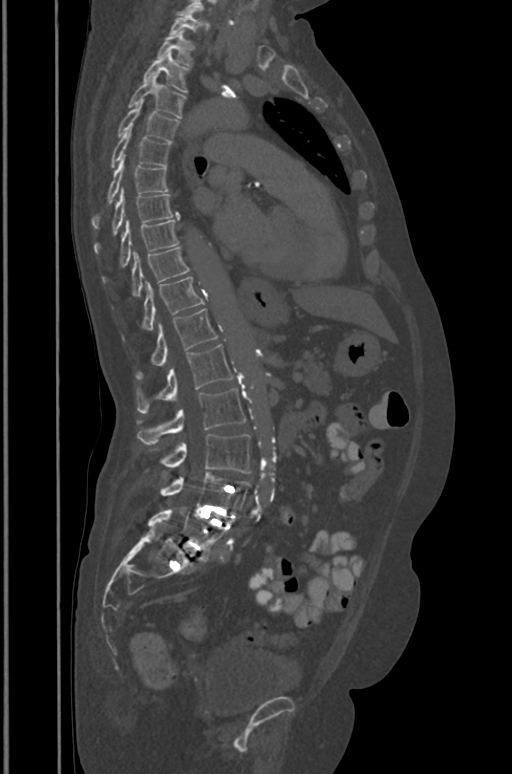 CT. the image spans 391 mm across. sagittal view. Bone window (WL 400, WW 1800)
<vertebrae><v name="L5" x1="148" y1="510" x2="227" y2="553"/><v name="L4" x1="161" y1="472" x2="250" y2="513"/><v name="L3" x1="161" y1="434" x2="250" y2="473"/><v name="L2" x1="137" y1="389" x2="245" y2="444"/><v name="L1" x1="136" y1="344" x2="232" y2="412"/><v name="T12" x1="136" y1="308" x2="216" y2="379"/><v name="T11" x1="123" y1="277" x2="203" y2="339"/><v name="T10" x1="132" y1="247" x2="189" y2="296"/><v name="T9" x1="103" y1="219" x2="178" y2="281"/><v name="T8" x1="94" y1="188" x2="178" y2="253"/><v name="T7" x1="92" y1="156" x2="168" y2="228"/><v name="T6" x1="111" y1="127" x2="169" y2="168"/><v name="T5" x1="118" y1="101" x2="178" y2="142"/><v name="T4" x1="128" y1="75" x2="186" y2="117"/><v name="T3" x1="143" y1="51" x2="188" y2="92"/><v name="T2" x1="157" y1="30" x2="193" y2="66"/><v name="T1" x1="170" y1="12" x2="198" y2="34"/></vertebrae>